CT, spine · image width 149 mm · sagittal view · 512x919 px · 12 vertebrae labeled in this scan
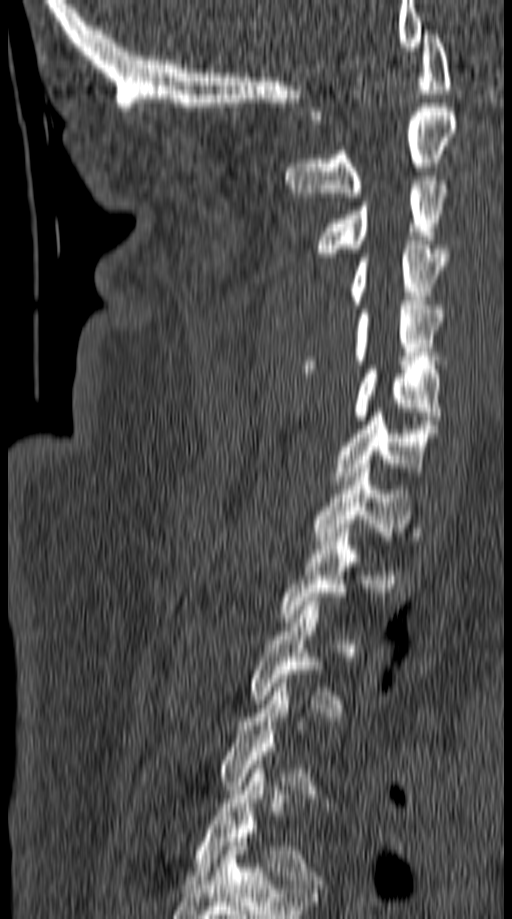 Boxes below are [x1, y1, x2, y2] in pixels.
Each vertebra is boxed only on the slices from the first to the last where its cross-section reaches a third of its largest, so a slice outside that range leaves it unboxed.
{"vertebrae":{"T5":[194,765,323,888],"T3":[249,597,344,716],"T2":[280,528,361,622],"T1":[310,464,413,545],"C7":[333,408,439,484],"C6":[352,365,441,420],"C5":[303,305,443,373],"C4":[349,241,448,308],"C3":[313,176,450,257],"C2":[286,103,457,201],"C1":[310,30,451,119]}}